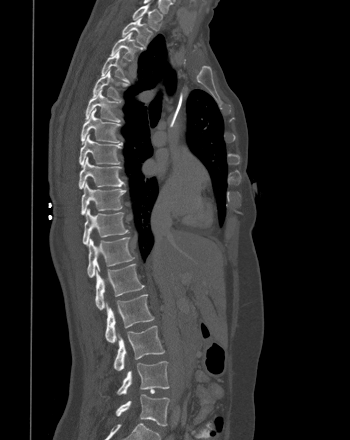 CT · sagittal view · bone window
<vertebrae><v name="T1" x1="132" y1="4" x2="162" y2="30"/><v name="T2" x1="122" y1="17" x2="152" y2="48"/><v name="T3" x1="110" y1="32" x2="142" y2="61"/><v name="T4" x1="101" y1="50" x2="128" y2="80"/><v name="T5" x1="93" y1="69" x2="126" y2="100"/><v name="T6" x1="85" y1="88" x2="120" y2="121"/><v name="T7" x1="80" y1="108" x2="119" y2="144"/><v name="T8" x1="79" y1="133" x2="120" y2="166"/><v name="T9" x1="78" y1="156" x2="124" y2="189"/><v name="T10" x1="81" y1="181" x2="125" y2="215"/><v name="T11" x1="82" y1="208" x2="128" y2="245"/><v name="T12" x1="87" y1="237" x2="134" y2="277"/><v name="L1" x1="95" y1="264" x2="144" y2="310"/><v name="L2" x1="105" y1="294" x2="154" y2="343"/><v name="L3" x1="113" y1="326" x2="164" y2="370"/><v name="L4" x1="117" y1="361" x2="169" y2="394"/><v name="L5" x1="116" y1="394" x2="169" y2="426"/></vertebrae>